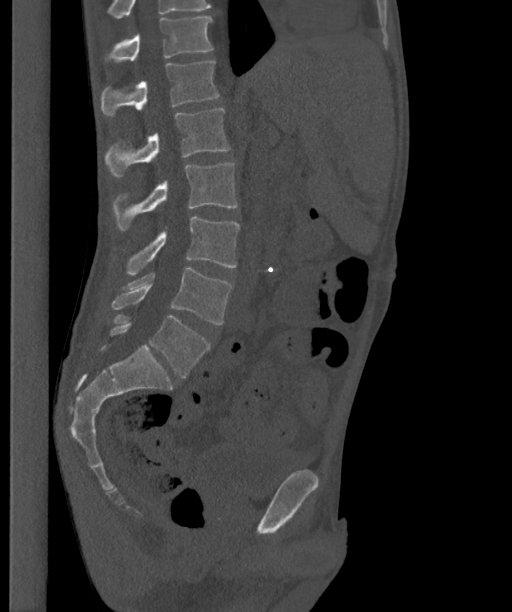
CT, spine; sagittal view; image 363 mm wide; bone-window reconstruction
Boxes: x1:y1:x2:y2 in pixels. In this scan, the topmost labeled vertebra is T12 and the lowest is L6. In these labels the spine has an L6, a sixth lumbar vertebra below L5. The labeled vertebrae in this slice are: T12 at 104:17:213:62, L1 at 101:61:219:116, L2 at 106:108:230:177, L3 at 113:162:237:230, L4 at 127:216:239:274, L5 at 111:268:232:324, L6 at 110:315:209:377.